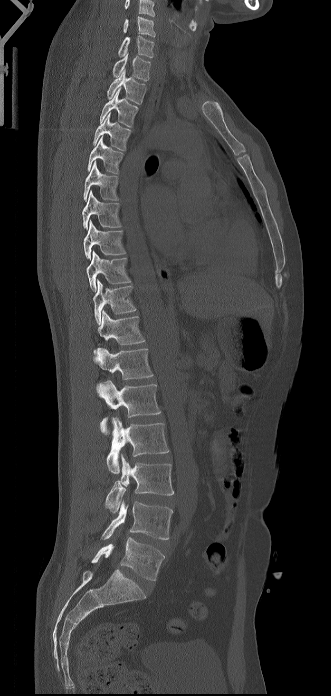
Computed tomography of the spine · sagittal view · Bone window (WL 400, WW 1800)

Columns x1, y1, x2, y2 give each box's top-left and bottom-right pixels.
The highest labeled vertebra in this scan is C6; the lowest is L5.
| vertebra | x1 | y1 | x2 | y2 |
|---|---|---|---|---|
| C6 | 123 | 16 | 155 | 36 |
| C7 | 118 | 36 | 154 | 57 |
| T1 | 112 | 52 | 150 | 81 |
| T2 | 107 | 69 | 146 | 104 |
| T3 | 100 | 88 | 138 | 127 |
| T4 | 93 | 113 | 131 | 150 |
| T5 | 88 | 136 | 123 | 173 |
| T6 | 83 | 160 | 118 | 201 |
| T7 | 82 | 190 | 121 | 228 |
| T8 | 83 | 220 | 125 | 259 |
| T9 | 86 | 251 | 130 | 292 |
| T10 | 93 | 279 | 136 | 324 |
| T11 | 94 | 310 | 145 | 355 |
| T12 | 93 | 347 | 153 | 379 |
| L1 | 96 | 380 | 161 | 434 |
| L2 | 106 | 417 | 169 | 473 |
| L3 | 105 | 453 | 173 | 512 |
| L4 | 102 | 500 | 172 | 539 |
| L5 | 91 | 537 | 164 | 580 |